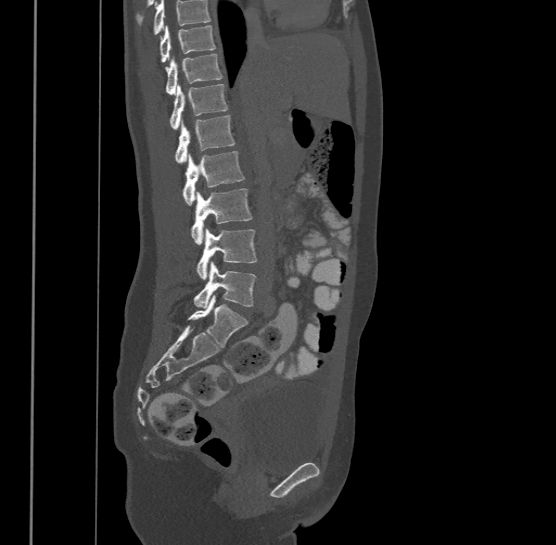 CT, spine; sagittal view; bone window. Box edges are left/top/right/bottom in pixels.
Vertebrae that run past the top of the scan are left unlabeled.
The highest labeled vertebra in this scan is T9; the lowest is L4.
L4: left=193, top=261, right=256, bottom=308
L3: left=196, top=227, right=257, bottom=278
L2: left=191, top=188, right=252, bottom=243
L1: left=183, top=151, right=244, bottom=204
T12: left=176, top=114, right=234, bottom=162
T11: left=170, top=83, right=228, bottom=129
T10: left=165, top=53, right=223, bottom=93
T9: left=158, top=24, right=216, bottom=61